Spine computed tomography. sagittal plane, index 281. 526x900 px. 25 vertebrae labeled in this scan. a region of this slice is masked with a uniform fill
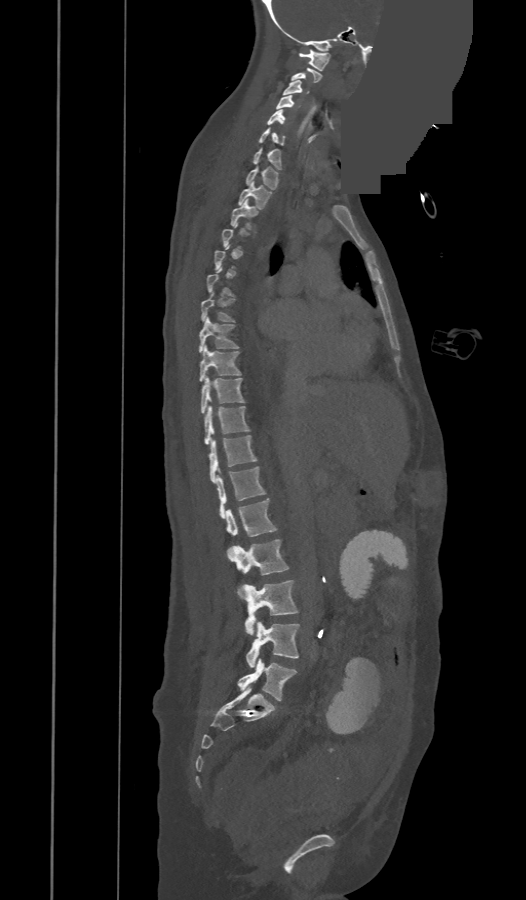 Each row gives a vertebra's box as x1, y1, x2, y2 in pixels: top-left corner, then bottom-right corner.
A vertebra is boxed only from the first to the last slice where its cross-section is at least a third of its largest; slices outside that range leave it without a box.
In these labels the spine has a T13, a thirteenth thoracic vertebra, between T12 and L1.
| vertebra | x1 | y1 | x2 | y2 |
|---|---|---|---|---|
| C1 | 299 | 49 | 331 | 70 |
| C3 | 283 | 80 | 308 | 95 |
| C4 | 275 | 95 | 294 | 109 |
| C5 | 267 | 109 | 284 | 125 |
| C6 | 259 | 128 | 284 | 145 |
| C7 | 254 | 148 | 280 | 169 |
| T1 | 246 | 166 | 277 | 189 |
| T2 | 239 | 181 | 270 | 209 |
| T3 | 231 | 200 | 257 | 228 |
| T7 | 201 | 299 | 232 | 321 |
| T8 | 199 | 318 | 238 | 352 |
| T9 | 199 | 346 | 240 | 381 |
| T10 | 201 | 375 | 243 | 414 |
| T11 | 204 | 406 | 249 | 444 |
| T12 | 208 | 436 | 257 | 482 |
| T13 | 217 | 467 | 265 | 517 |
| L1 | 226 | 499 | 275 | 551 |
| L2 | 228 | 539 | 287 | 575 |
| L3 | 239 | 580 | 297 | 634 |
| L4 | 246 | 622 | 299 | 667 |
| L5 | 238 | 658 | 296 | 700 |